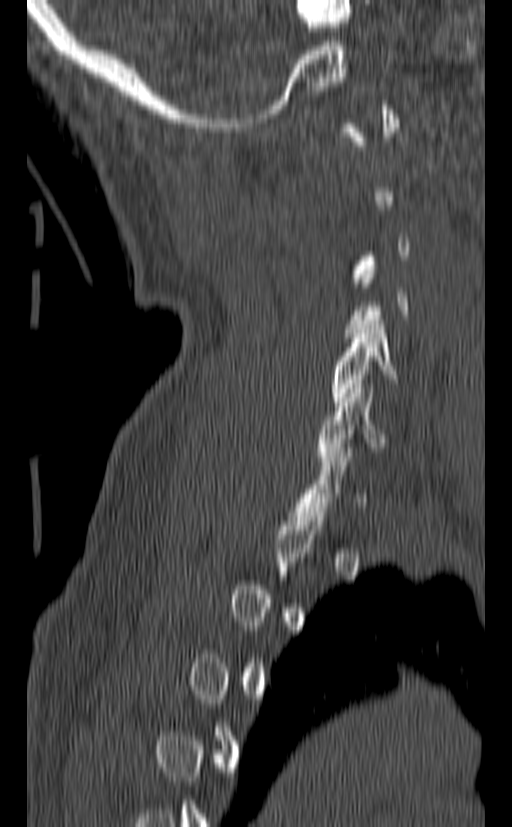
CT, spine · sagittal reformat · the image spans 140 mm across
Each row gives a vertebra's box as x1, y1, x2, y2 in pixels: top-left corner, then bottom-right corner.
A vertebra is boxed only from the first to the last slice where its cross-section is at least a third of its largest; slices outside that range leave it without a box.
| vertebra | x1 | y1 | x2 | y2 |
|---|---|---|---|---|
| C6 | 318 | 384 | 389 | 465 |
| C5 | 330 | 320 | 399 | 406 |